CT, spine. sagittal plane, index 26. some of the image was removed or blocked out with constant pixels
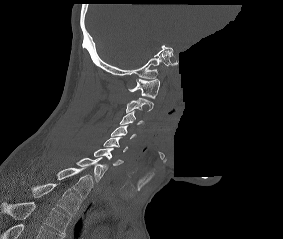
Coordinates as <box>x1,y1,x2,y2</box>.
This scan's labels start at C1 at the top and end at T2 at the bottom.
T2: <box>32,183,80,215</box>
T1: <box>57,167,93,198</box>
C7: <box>76,157,107,181</box>
C6: <box>93,148,123,165</box>
C5: <box>103,137,127,152</box>
C4: <box>111,125,136,139</box>
C3: <box>119,110,144,125</box>
C2: <box>126,97,153,112</box>
C1: <box>128,78,159,98</box>